CT, spine — Sagittal slice 252/512 — Bone window (WL 400, WW 1800) — 12 vertebrae labeled in this scan
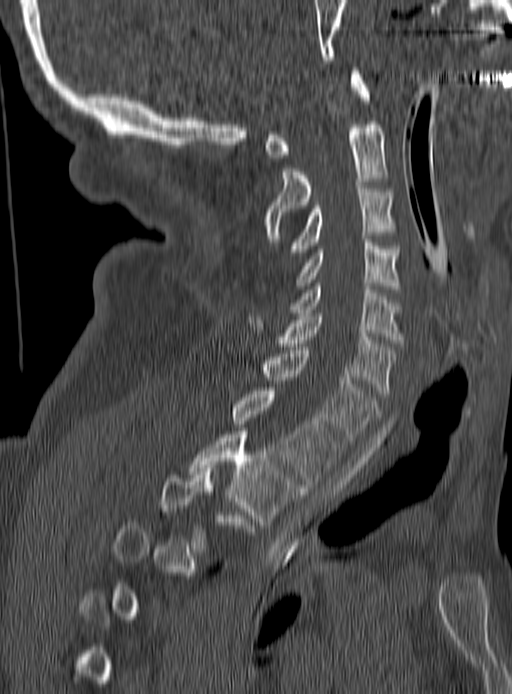
Each box given as x1,y1,x2,y2.
Not every vertebra on this slice has a box: a vertebra is boxed only from the first to the last slice where its cross-section is at least a third of its largest, and this slice is outside that range for at least one of them.
T3: x1=160, y1=468, x2=259, y2=551
T2: x1=189, y1=431, x2=302, y2=524
T1: x1=233, y1=387, x2=342, y2=484
C7: x1=260, y1=350, x2=377, y2=444
C6: x1=246, y1=313, x2=396, y2=393
C5: x1=289, y1=283, x2=401, y2=343
C4: x1=297, y1=239, x2=399, y2=289
C3: x1=286, y1=185, x2=393, y2=255
C2: x1=265, y1=121, x2=385, y2=242
C1: x1=264, y1=71, x2=369, y2=161